CT spine; Sagittal slice 292/512; bone-window reconstruction; 512x935 px
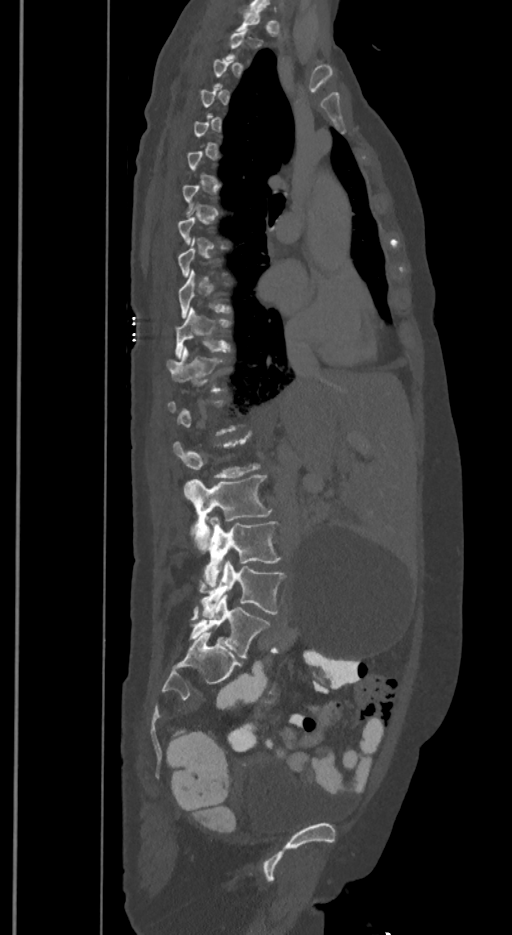

Box values are [left, top, right, bottom] in pixels.
A vertebra is boxed only from the first to the last slice where its cross-section is at least a third of its largest; slices outside that range leave it without a box.
The labels name a sixth lumbar vertebra for this spine: L6, after L5.
{"vertebrae":{"L6":[190,594,268,657],"L5":[199,561,285,616],"L4":[203,516,280,588],"L3":[184,475,271,549],"T12":[167,346,221,391],"T11":[175,307,230,356]}}